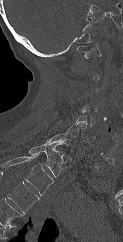

Spine CT; sagittal reformat. Boxes: x1:y1:x2:y2 in pixels.
Not every vertebra on this slice has a box: a vertebra is boxed only from the first to the last slice where its cross-section is at least a third of its largest, and this slice is outside that range for at least one of them.
This scan's labels start at C1 at the top and end at T1 at the bottom.
T1: 28:143:63:177
C7: 46:133:75:146
C6: 65:124:94:142
C1: 77:44:101:58